CT, spine · sagittal view · 555x689 px
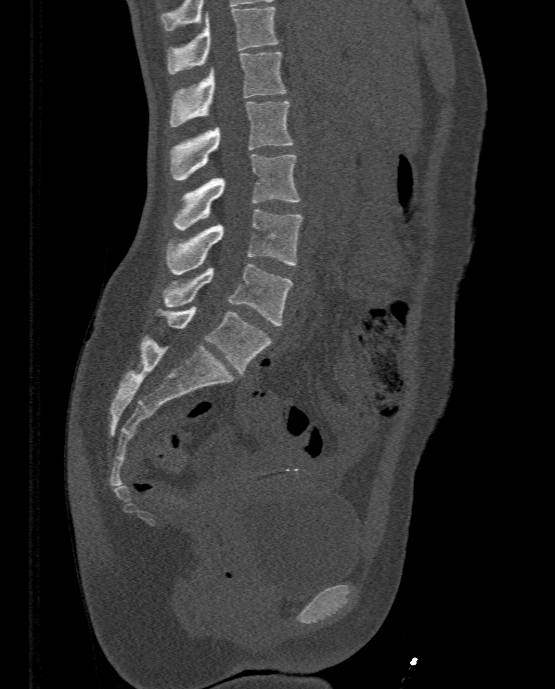
<vertebrae><v name="L5" x1="156" y1="306" x2="272" y2="375"/><v name="L4" x1="163" y1="263" x2="293" y2="325"/><v name="L3" x1="166" y1="210" x2="303" y2="274"/><v name="L2" x1="172" y1="154" x2="300" y2="230"/><v name="L1" x1="170" y1="101" x2="294" y2="180"/><v name="T12" x1="169" y1="51" x2="285" y2="126"/><v name="T11" x1="166" y1="6" x2="279" y2="74"/></vertebrae>